CT spine — sagittal plane, index 260 — bone-window reconstruction — image width 461 mm — 512x550 px
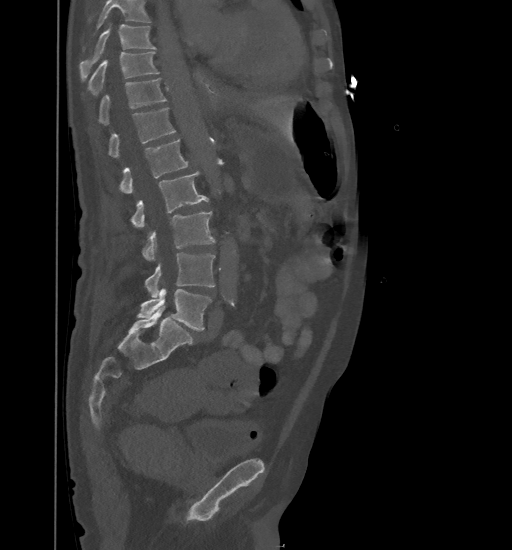 Bounding boxes as [x1, y1, x2, y2] in pixel coordinates. Where the top of the scan cuts through a vertebra, that vertebra gets no label or box. The labeled vertebrae in this slice are: L5 at [137, 288, 211, 330], L4 at [144, 252, 215, 297], L3 at [142, 211, 215, 260], L2 at [130, 171, 208, 227], L1 at [119, 139, 188, 192], T12 at [108, 108, 175, 157], T11 at [99, 78, 167, 125], T10 at [88, 51, 159, 96], T9 at [79, 23, 156, 79].